Spine CT · 563 mm image width · sagittal plane, index 60 · 720x720 px
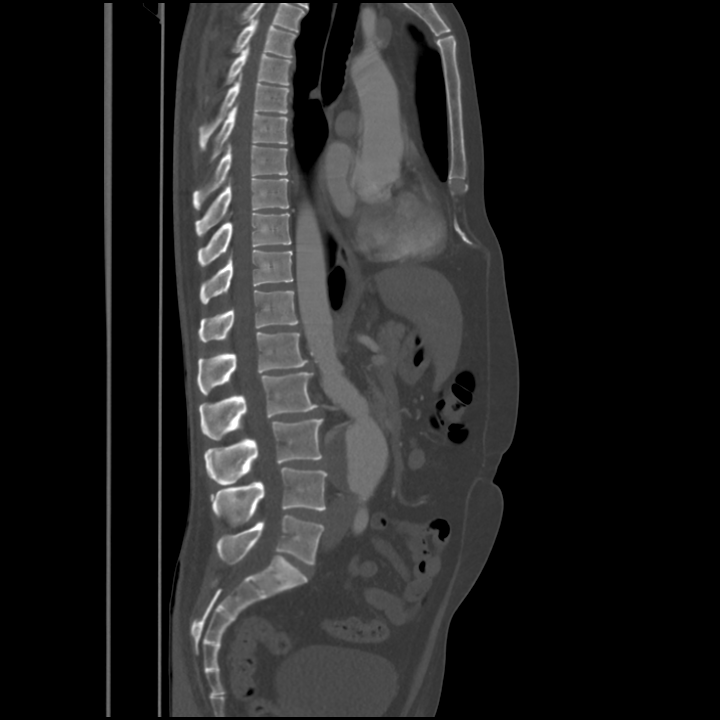
Box edges are left/top/right/bottom in pixels.
Labels in this scan begin with T4 at the top and end with L5 at the bottom.
T4: left=232, top=19, right=296, bottom=58
T5: left=225, top=45, right=292, bottom=85
T6: left=198, top=73, right=289, bottom=150
T7: left=210, top=105, right=288, bottom=160
T8: left=193, top=143, right=287, bottom=209
T9: left=195, top=178, right=288, bottom=236
T10: left=197, top=212, right=291, bottom=266
T11: left=200, top=250, right=293, bottom=304
T12: left=198, top=290, right=298, bottom=342
L1: left=197, top=331, right=306, bottom=394
L2: left=198, top=372, right=318, bottom=440
L3: left=204, top=418, right=323, bottom=485
L4: left=210, top=467, right=327, bottom=526
L5: left=216, top=514, right=324, bottom=564